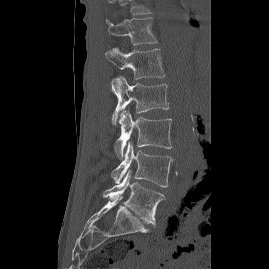

CT, spine — sagittal reformat — bone window — 269x269 px
Each box is [x1, y1, x2, y2] in pixels: top-left corner, then bottom-right corner.
This scan's labels start at T12 at the top and end at L5 at the bottom.
{"vertebrae":{"L5":[103,170,165,227],"L4":[111,142,172,187],"L3":[114,110,171,160],"L2":[111,76,169,124],"L1":[105,47,165,79],"T12":[108,17,157,45]}}